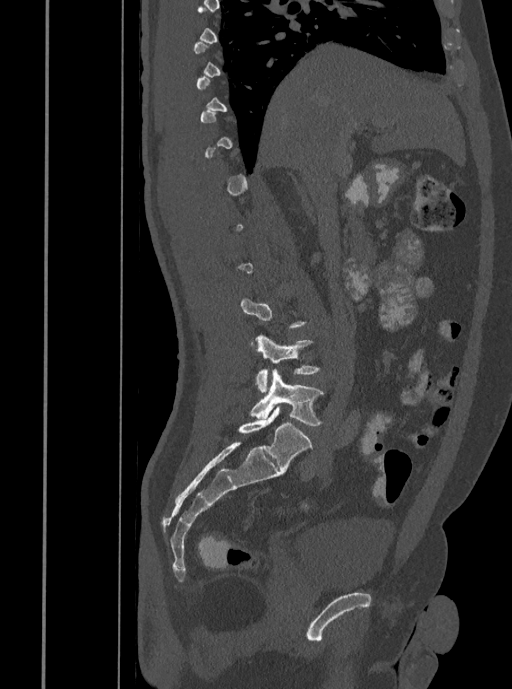 Spine CT; sagittal view; 512x689 px. Boxes: x1:y1:x2:y2 in pixels.
A vertebra is boxed only from the first to the last slice where its cross-section is at least a third of its largest; slices outside that range leave it without a box.
Vertebra bounding boxes:
- L4: 255:334:319:392
- L5: 250:369:323:426